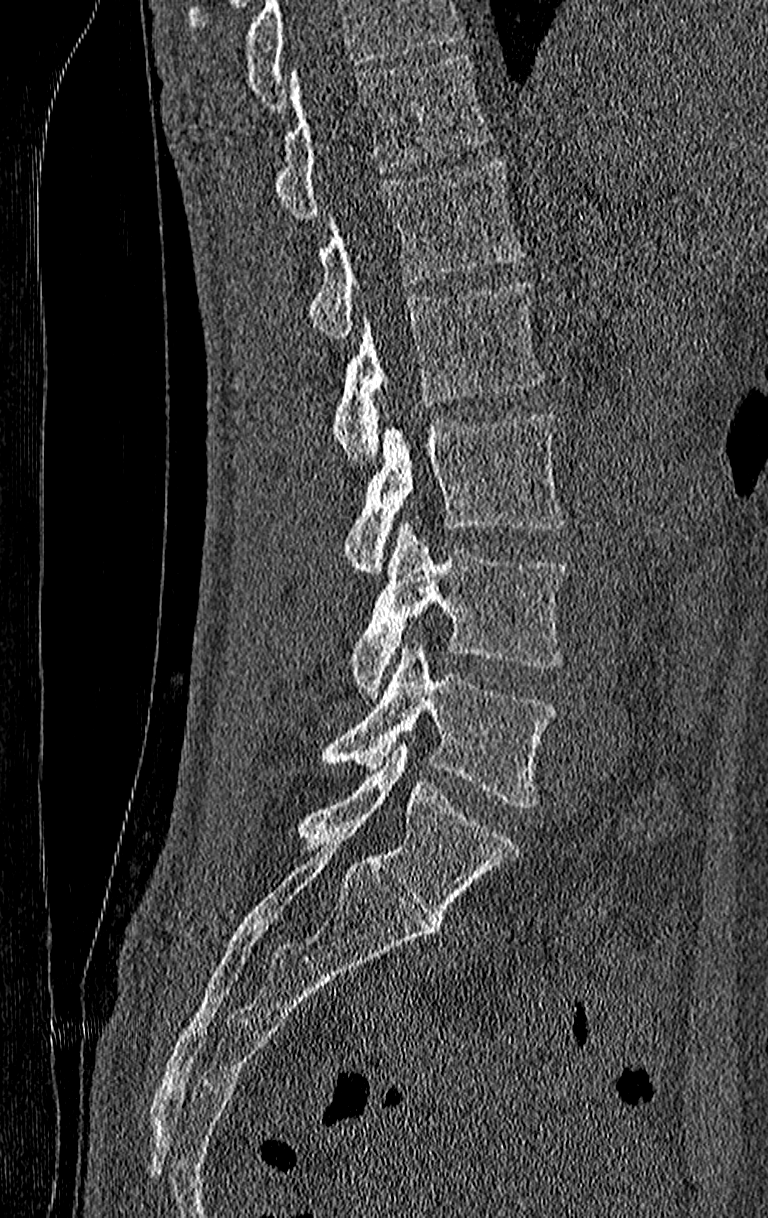 Computed tomography of the spine. sagittal reformat
Boxes are given in columns x1, y1, x2, y2, the pixel coordinates of their top-left and bottom-right corners.
Vertebrae that run past the top of the scan are left unlabeled.
The highest labeled vertebra in this scan is T11; the lowest is L4.
| vertebra | x1 | y1 | x2 | y2 |
|---|---|---|---|---|
| T11 | 273 | 56 | 491 | 220 |
| T12 | 310 | 161 | 524 | 340 |
| L1 | 331 | 283 | 546 | 465 |
| L2 | 342 | 415 | 565 | 573 |
| L3 | 350 | 520 | 568 | 695 |
| L4 | 320 | 640 | 557 | 809 |